Spine CT — sagittal reformat — bone-window reconstruction — 512x762 px
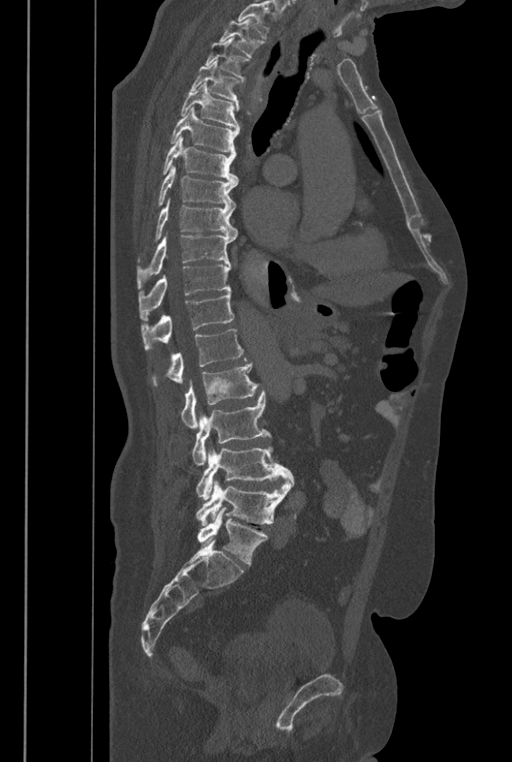

Bounding boxes as [x1, y1, x2, y2] in pixel coordinates.
Vertebrae that run past the top of the scan are left unlabeled.
These labels give the spine a sixth lumbar vertebra, L6, below L5.
Vertebra bounding boxes:
- L6: [197, 507, 268, 565]
- L5: [196, 480, 291, 525]
- L4: [196, 445, 294, 501]
- L3: [192, 391, 272, 465]
- L2: [181, 363, 258, 429]
- L1: [153, 329, 247, 385]
- T12: [141, 291, 233, 349]
- T11: [139, 264, 230, 320]
- T10: [137, 235, 234, 289]
- T9: [137, 198, 237, 262]
- T8: [157, 165, 238, 208]
- T7: [162, 135, 238, 183]
- T6: [170, 106, 239, 153]
- T5: [180, 82, 240, 129]
- T4: [189, 60, 239, 111]
- T3: [205, 37, 249, 82]
- T2: [219, 19, 265, 57]